Spine CT — sagittal view — 350x292 px
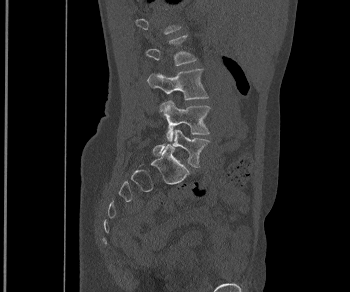
Each row gives a vertebra's box as x1, y1, x2, y2 in pixels: top-left corner, then bottom-right corner.
Each vertebra is boxed only on the slices from the first to the last where its cross-section reaches a third of its largest, so a slice outside that range leaves it unboxed.
| vertebra | x1 | y1 | x2 | y2 |
|---|---|---|---|---|
| L2 | 145 | 35 | 196 | 65 |
| L3 | 147 | 68 | 208 | 99 |
| L4 | 159 | 100 | 210 | 141 |
| L5 | 153 | 129 | 209 | 167 |